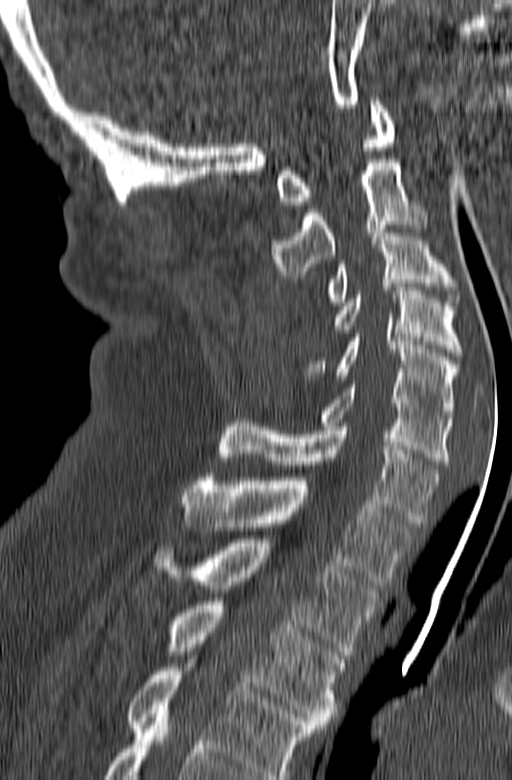

Spine computed tomography. the image spans 165 mm across. sagittal view. 512x780 px

Labels in this scan begin with C1 at the top and end with T3 at the bottom.
<vertebrae><v name="T3" x1="165" y1="601" x2="344" y2="728"/><v name="T2" x1="152" y1="539" x2="379" y2="655"/><v name="T1" x1="181" y1="473" x2="415" y2="585"/><v name="C7" x1="218" y1="419" x2="441" y2="523"/><v name="C6" x1="320" y1="380" x2="450" y2="464"/><v name="C5" x1="305" y1="334" x2="459" y2="418"/><v name="C4" x1="333" y1="287" x2="462" y2="356"/><v name="C3" x1="322" y1="229" x2="459" y2="305"/><v name="C2" x1="271" y1="159" x2="428" y2="278"/><v name="C1" x1="276" y1="97" x2="394" y2="205"/></vertebrae>